Spine computed tomography · Sagittal slice 180/512
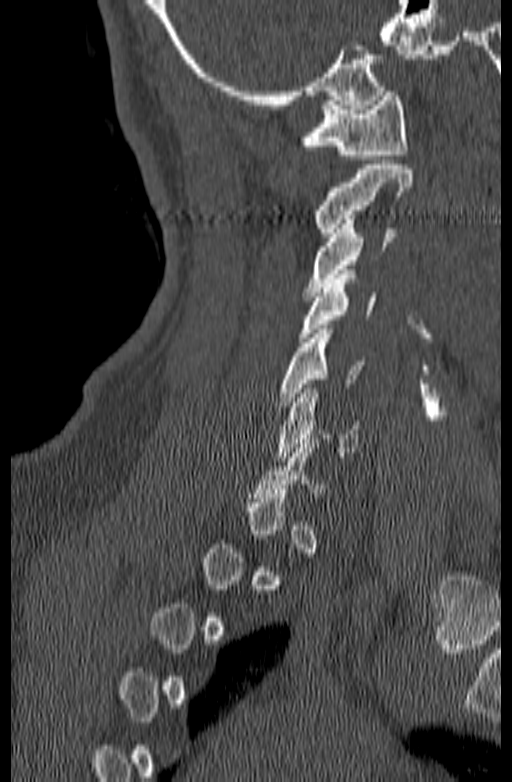
A vertebra gets a box only on the slices from the first to the last where its cross-section is at least a third of its largest; on a slice outside that range it gets none.
<vertebrae><v name="C1" x1="301" y1="91" x2="407" y2="159"/><v name="C2" x1="314" y1="165" x2="413" y2="237"/><v name="C3" x1="305" y1="215" x2="393" y2="296"/><v name="C4" x1="298" y1="270" x2="375" y2="342"/><v name="C5" x1="276" y1="329" x2="366" y2="406"/><v name="C6" x1="276" y1="389" x2="360" y2="461"/></vertebrae>